CT spine — sagittal view — 152x195 px — 6 vertebrae labeled in this scan
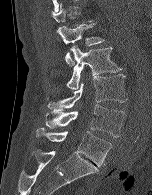
Each vertebra is boxed only on the slices from the first to the last where its cross-section reaches a third of its largest, so a slice outside that range leaves it unboxed.
<vertebrae><v name="L1" x1="57" y1="23" x2="104" y2="66"/><v name="L2" x1="66" y1="46" x2="122" y2="89"/><v name="L3" x1="47" y1="74" x2="127" y2="111"/><v name="L4" x1="45" y1="104" x2="124" y2="137"/><v name="L5" x1="36" y1="127" x2="111" y2="166"/></vertebrae>